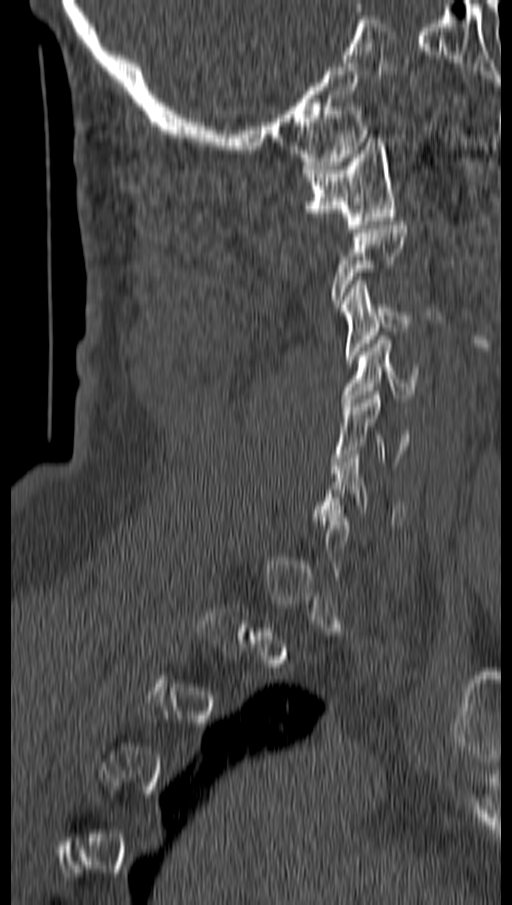

CT, spine · sagittal view · bone window
A vertebra gets a box only on the slices from the first to the last where its cross-section is at least a third of its largest; on a slice outside that range it gets none.
<vertebrae><v name="C5" x1="333" y1="391" x2="409" y2="469"/><v name="C4" x1="342" y1="336" x2="418" y2="406"/><v name="C3" x1="339" y1="280" x2="412" y2="362"/><v name="C1" x1="302" y1="138" x2="395" y2="232"/></vertebrae>